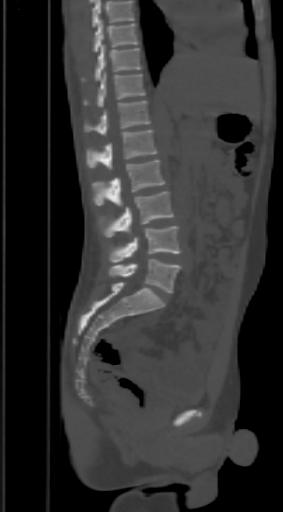 CT; sagittal view; bone-window reconstruction. Each box given as x1,y1,x2,y2.
No box is given to a vertebra that the top edge of the scan cuts off.
| vertebra | x1 | y1 | x2 | y2 |
|---|---|---|---|---|
| T9 | 92 | 20 | 139 | 52 |
| T10 | 81 | 45 | 142 | 80 |
| T11 | 84 | 73 | 145 | 107 |
| T12 | 84 | 101 | 150 | 136 |
| L1 | 87 | 129 | 156 | 169 |
| L2 | 92 | 159 | 164 | 205 |
| L3 | 104 | 191 | 173 | 237 |
| L4 | 109 | 226 | 181 | 262 |
| L5 | 109 | 259 | 181 | 293 |